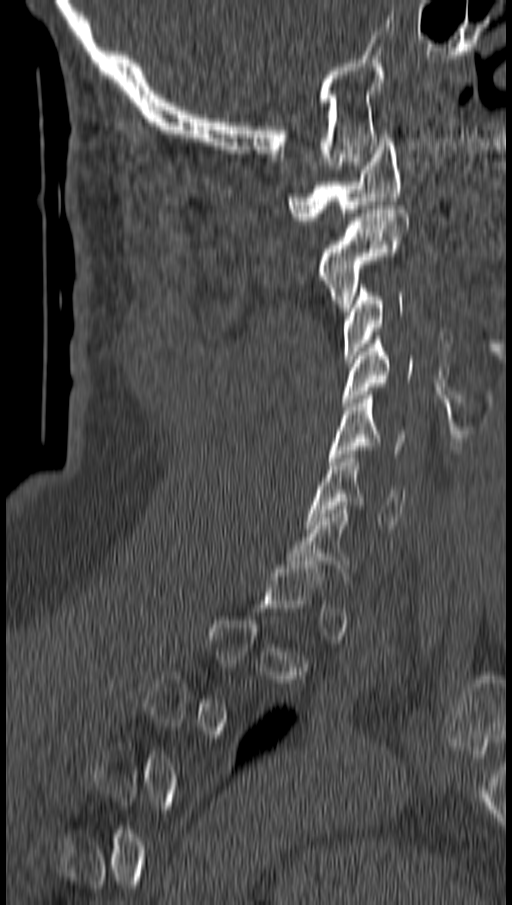 Spine CT — sagittal view — bone window
Each box given as x1,y1,x2,y2.
A vertebra gets a box only on the slices from the first to the last where its cross-section is at least a third of its largest; on a slice outside that range it gets none.
| vertebra | x1 | y1 | x2 | y2 |
|---|---|---|---|---|
| C6 | 308 | 454 | 405 | 528 |
| C5 | 330 | 391 | 406 | 461 |
| C4 | 342 | 336 | 411 | 406 |
| C3 | 342 | 284 | 402 | 362 |
| C2 | 317 | 205 | 408 | 311 |
| C1 | 289 | 138 | 401 | 220 |